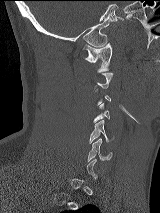
CT spine; sagittal reformat; image 160 mm wide
Box edges are left/top/right/bottom in pixels.
Each vertebra is boxed only on the slices from the first to the last where its cross-section reaches a third of its largest, so a slice outside that range leaves it unboxed.
| vertebra | x1 | y1 | x2 | y2 |
|---|---|---|---|---|
| C1 | 83 | 43 | 111 | 72 |
| C4 | 93 | 103 | 110 | 122 |
| C5 | 89 | 120 | 113 | 143 |
| C6 | 87 | 138 | 112 | 161 |